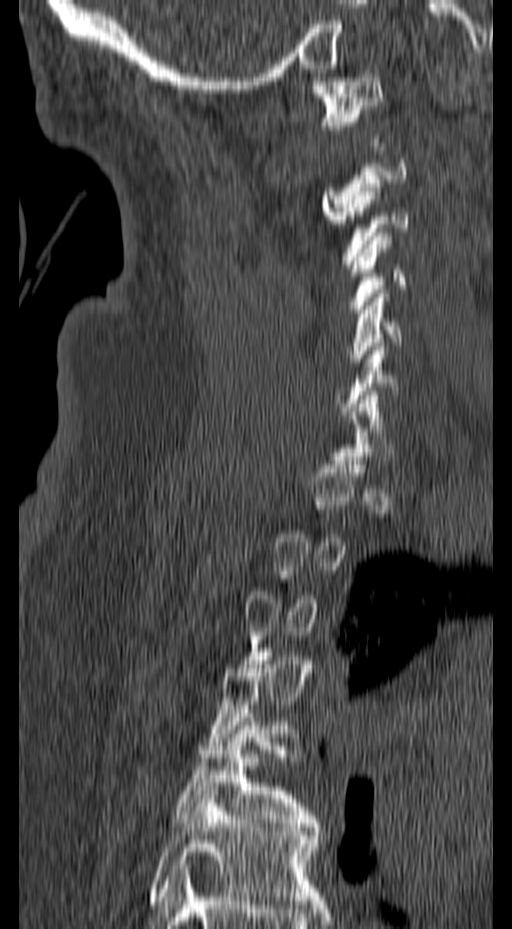 CT; 157 mm wide; sagittal view; bone-window reconstruction
Box values are [left, top, right, bottom] in pixels.
A vertebra is boxed only from the first to the last slice where its cross-section is at least a third of its largest; slices outside that range leave it without a box.
{"vertebrae":{"C1":[311,73,383,142],"C3":[341,183,408,268],"C4":[347,232,407,313],"C5":[348,289,403,370],"T5":[176,713,321,831],"T6":[149,787,323,904]}}